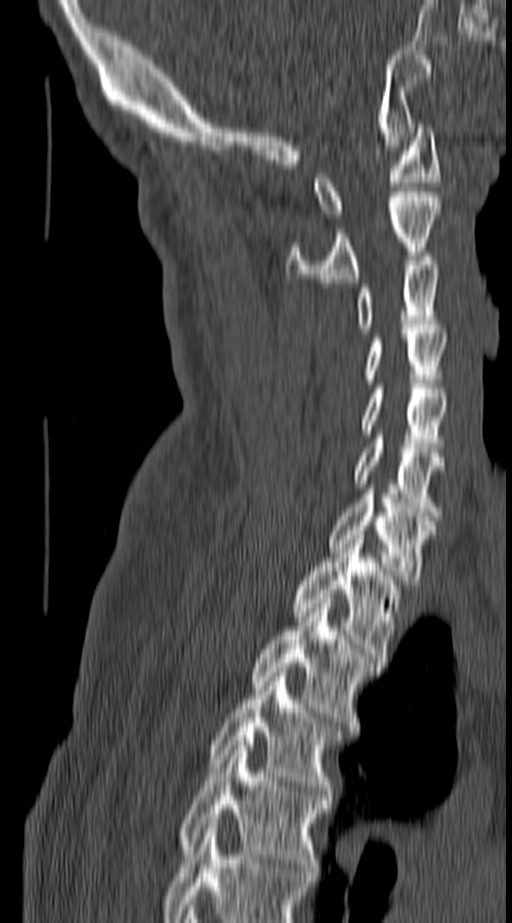

CT spine · sagittal reformat · bone window
Boxes are (x1, y1, x2, y2) in pixels. Labels in this scan begin with C1 at the top and end with T4 at the bottom. 11 vertebrae labeled — C1 at (312, 123, 439, 218); C2 at (287, 192, 440, 282); C3 at (356, 256, 440, 333); C4 at (363, 329, 447, 383); C5 at (360, 389, 447, 452); C6 at (352, 434, 444, 516); C7 at (327, 494, 436, 584); T1 at (294, 535, 399, 657); T2 at (250, 599, 377, 730); T3 at (210, 672, 340, 794); T4 at (177, 741, 329, 872).